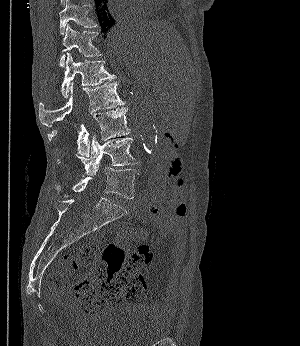

Spine computed tomography · sagittal view · Bone window (WL 400, WW 1800) · 300x346 px

Box values are [left, top, right, bottom] in pixels.
{"vertebrae":{"T11":[59,0,96,34],"T12":[60,24,102,67],"L1":[61,52,115,98],"L2":[39,81,124,126],"L3":[47,107,130,156],"L4":[56,135,138,176],"L5":[55,167,139,198]}}